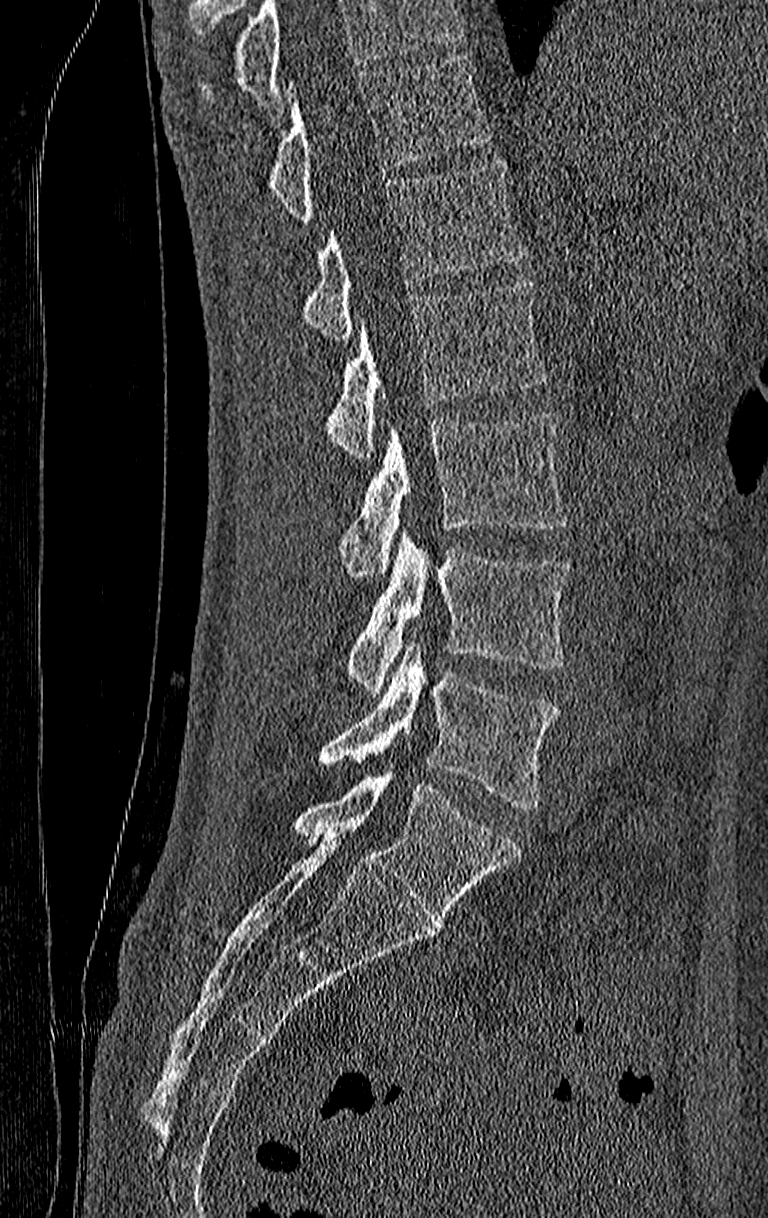
CT, spine — sagittal view. Coordinates as <box>x1,y1,x2,y2</box>. Vertebrae that run past the top of the scan are left unlabeled. Labels in this scan begin with T11 at the top and end with L4 at the bottom. 6 vertebrae labeled — T11 at <box>266,56,488,220</box>; T12 at <box>299,158,524,340</box>; L1 at <box>324,278,546,457</box>; L2 at <box>339,410,568,578</box>; L3 at <box>346,538,572,695</box>; L4 at <box>317,645,561,809</box>.